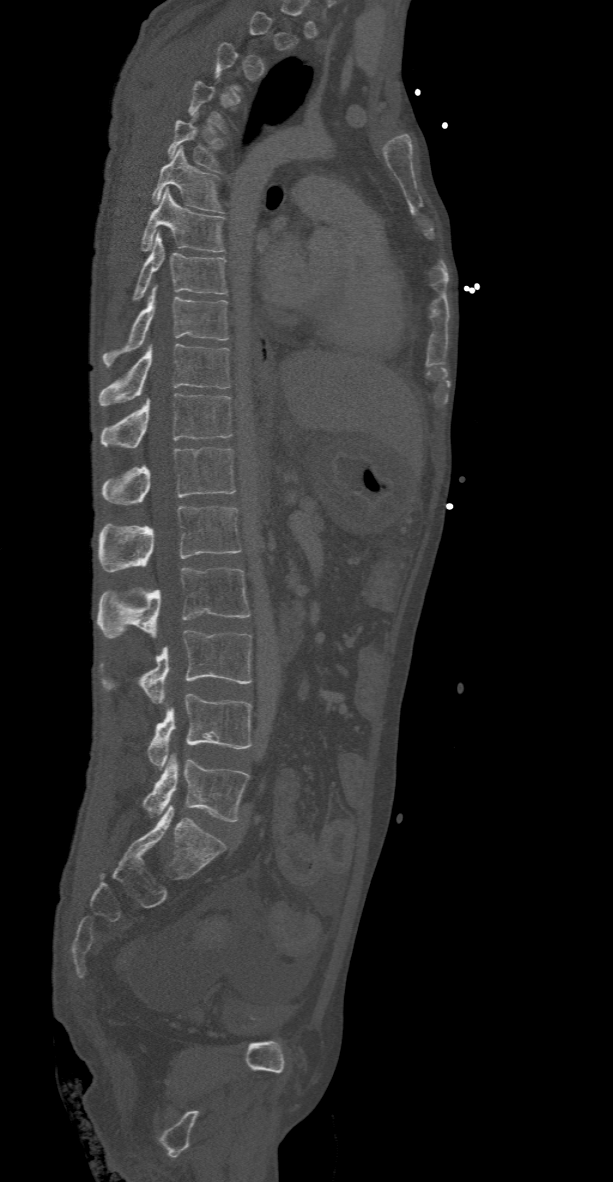
Spine computed tomography · sagittal view · bone-window reconstruction · 613x1182 px
Boxes are given in columns x1, y1, x2, y2, the pixel coordinates of their top-left and bottom-right corners.
Each vertebra is boxed only on the slices from the first to the last where its cross-section reaches a third of its largest, so a slice outside that range leaves it unboxed.
| vertebra | x1 | y1 | x2 | y2 |
|---|---|---|---|---|
| T5 | 168 | 112 | 225 | 172 |
| T6 | 151 | 147 | 224 | 213 |
| T7 | 140 | 189 | 225 | 251 |
| T8 | 132 | 232 | 227 | 301 |
| T9 | 102 | 286 | 229 | 366 |
| T10 | 98 | 344 | 230 | 406 |
| T11 | 99 | 394 | 233 | 448 |
| T12 | 102 | 447 | 235 | 505 |
| L1 | 98 | 506 | 241 | 571 |
| L2 | 96 | 567 | 251 | 638 |
| L3 | 99 | 629 | 252 | 703 |
| L4 | 149 | 694 | 252 | 768 |
| L5 | 143 | 754 | 248 | 821 |